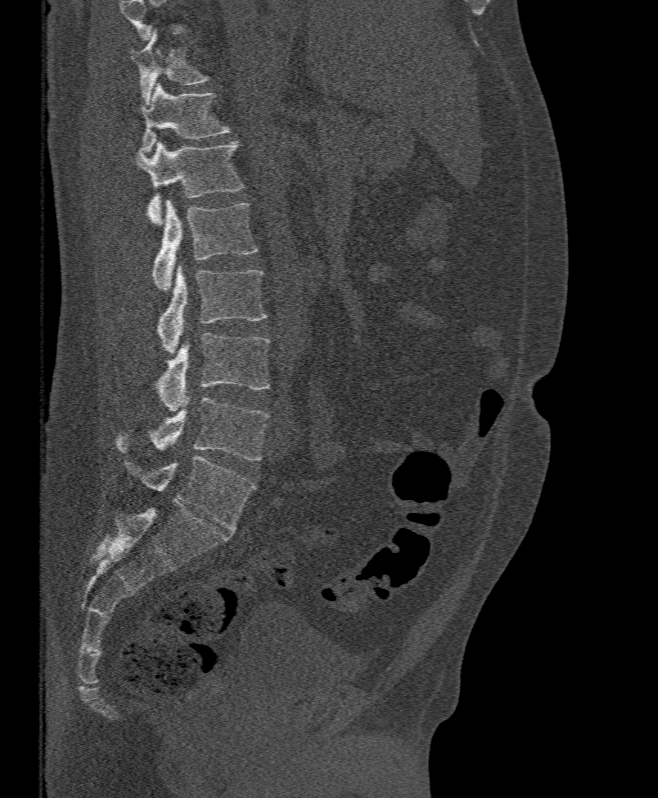 Spine computed tomography. sagittal view
Box values are [left, top, right, bottom] in pixels.
Where the top of the scan cuts through a vertebra, that vertebra gets no label or box.
{"vertebrae":{"T11":[130,28,210,104],"T12":[141,83,230,152],"L1":[135,140,243,224],"L2":[152,200,257,289],"L3":[157,265,268,352],"L4":[154,332,270,411],"L5":[114,397,269,461]}}